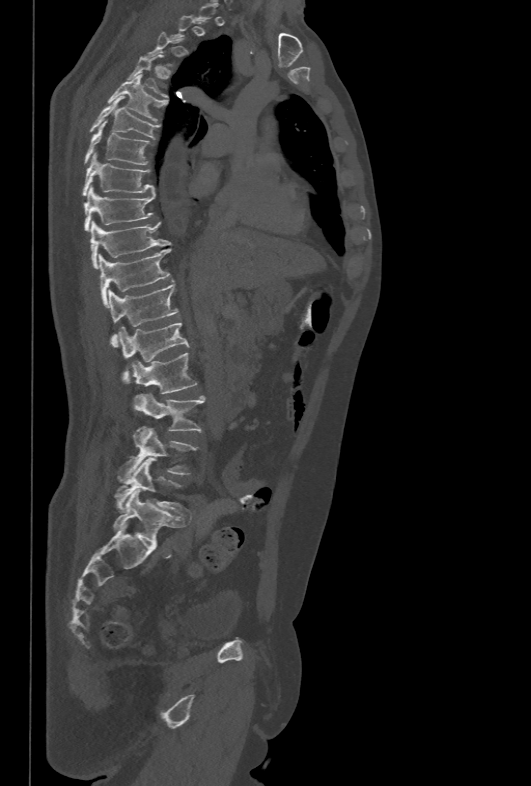

Spine CT · sagittal view · Bone window (WL 400, WW 1800) · 478 mm wide · 531x786 px
Not every vertebra on this slice has a box: a vertebra is boxed only from the first to the last slice where its cross-section is at least a third of its largest, and this slice is outside that range for at least one of them.
<vertebrae><v name="T4" x1="128" y1="55" x2="168" y2="99"/><v name="T5" x1="107" y1="74" x2="167" y2="122"/><v name="T6" x1="89" y1="96" x2="159" y2="138"/><v name="T7" x1="84" y1="122" x2="153" y2="164"/><v name="T8" x1="82" y1="153" x2="154" y2="195"/><v name="T9" x1="84" y1="186" x2="155" y2="231"/><v name="T10" x1="90" y1="220" x2="170" y2="268"/><v name="T11" x1="99" y1="248" x2="170" y2="307"/><v name="T12" x1="108" y1="282" x2="177" y2="346"/><v name="L1" x1="119" y1="322" x2="190" y2="382"/><v name="L2" x1="131" y1="353" x2="197" y2="394"/><v name="L3" x1="135" y1="393" x2="204" y2="432"/><v name="L4" x1="120" y1="426" x2="198" y2="481"/><v name="L5" x1="115" y1="457" x2="185" y2="513"/></vertebrae>